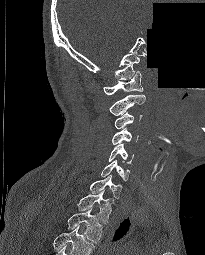 Spine CT · sagittal view · Bone window (WL 400, WW 1800) · 205x255 px · some of the image was removed or blocked out with constant pixels

Boxes below are [x1, y1, x2, y2] in pixels.
This scan's labels start at C1 at the top and end at T2 at the bottom.
{"vertebrae":{"C1":[103,71,143,94],"C2":[109,95,145,115],"C3":[114,111,142,129],"C4":[112,128,138,144],"C5":[109,144,133,163],"C6":[101,159,129,181],"C7":[90,174,122,199],"T1":[77,189,113,223],"T2":[68,207,103,242]}}